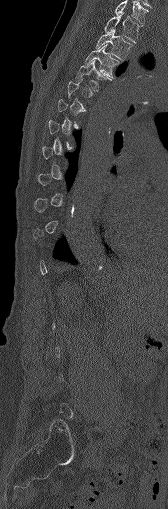
Spine CT — sagittal view
A vertebra gets a box only on the slices from the first to the last where its cross-section is at least a third of its largest; on a slice outside that range it gets none.
<vertebrae><v name="T4" x1="75" y1="60" x2="112" y2="91"/><v name="T3" x1="85" y1="44" x2="121" y2="76"/><v name="T2" x1="95" y1="29" x2="133" y2="60"/><v name="T1" x1="104" y1="13" x2="140" y2="42"/><v name="C7" x1="114" y1="0" x2="147" y2="24"/></vertebrae>